CT, spine; sagittal plane, index 275; 512x694 px
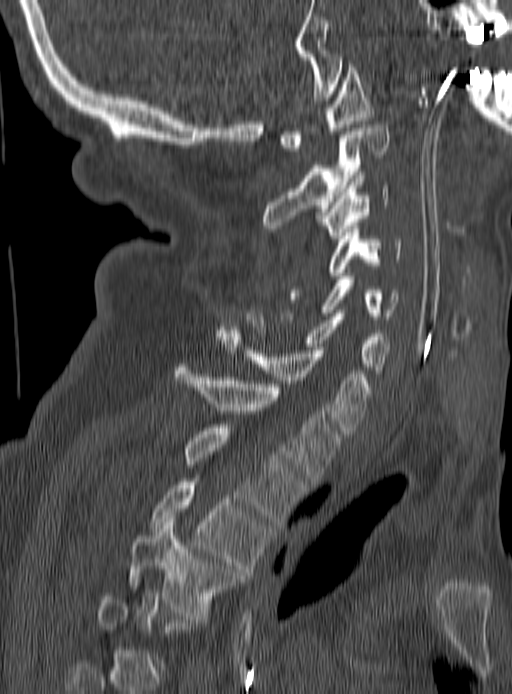
Not every vertebra on this slice has a box: a vertebra is boxed only from the first to the last slice where its cross-section is at least a third of its largest, and this slice is outside that range for at least one of them.
<vertebrae><v name="C1" x1="278" y1="64" x2="373" y2="151"/><v name="C2" x1="262" y1="125" x2="388" y2="231"/><v name="C3" x1="319" y1="175" x2="389" y2="238"/><v name="C4" x1="289" y1="229" x2="402" y2="299"/><v name="C5" x1="279" y1="276" x2="399" y2="322"/><v name="C6" x1="246" y1="310" x2="391" y2="376"/><v name="C7" x1="217" y1="333" x2="372" y2="434"/><v name="T1" x1="175" y1="364" x2="339" y2="484"/><v name="T2" x1="184" y1="424" x2="304" y2="524"/><v name="T3" x1="152" y1="475" x2="269" y2="575"/><v name="T4" x1="130" y1="519" x2="240" y2="619"/></vertebrae>